Computed tomography of the spine — sagittal reformat — bone-window reconstruction — 322 mm image width
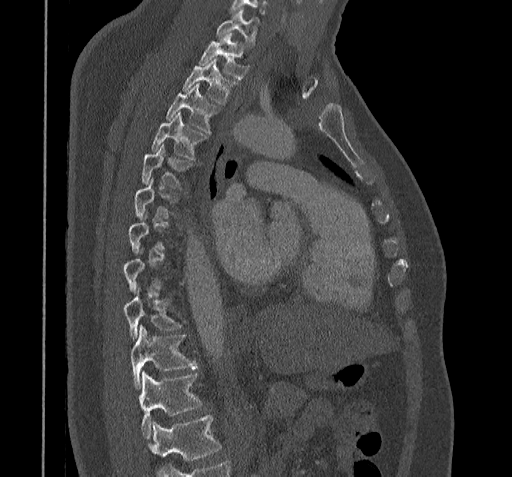

Box edges are left/top/right/bottom in pixels. Not every vertebra on this slice has a box: a vertebra is boxed only from the first to the last slice where its cross-section is at least a third of its largest, and this slice is outside that range for at least one of them. A vertebra cut off by the bottom edge of the scan is not labeled and has no box. 9 vertebrae labeled — C7 at left=216, top=9, right=258, bottom=46; T1 at left=198, top=33, right=248, bottom=79; T2 at left=183, top=59, right=237, bottom=105; T3 at left=165, top=84, right=218, bottom=134; T4 at left=151, top=113, right=207, bottom=159; T5 at left=141, top=145, right=193, bottom=188; T9 at left=124, top=286, right=182, bottom=338; T10 at left=130, top=325, right=197, bottom=388; T11 at left=140, top=372, right=202, bottom=438.